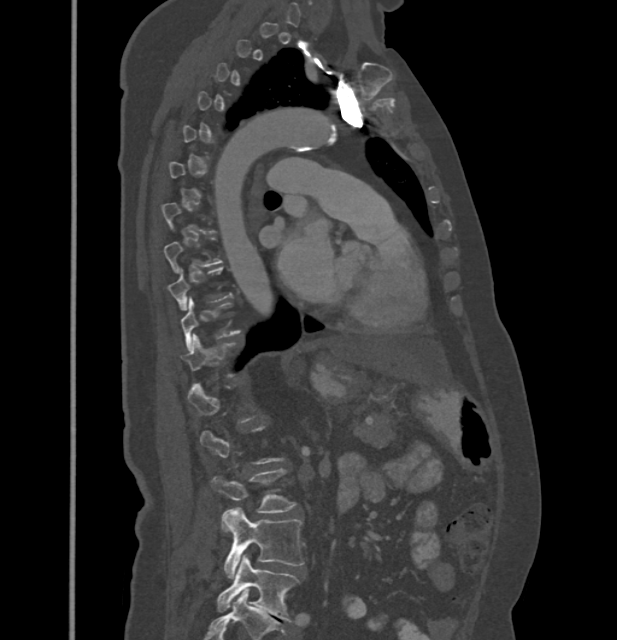
CT, spine — sagittal view — bone-window reconstruction
Boxes are (x1, y1, x2, y2) in pixels.
A vertebra gets a box only on the slices from the first to the last where its cross-section is at least a third of its largest; on a slice outside that range it gets none.
Vertebra bounding boxes:
- L5: (217, 555, 299, 622)
- L4: (222, 507, 303, 578)
- L3: (211, 469, 294, 512)